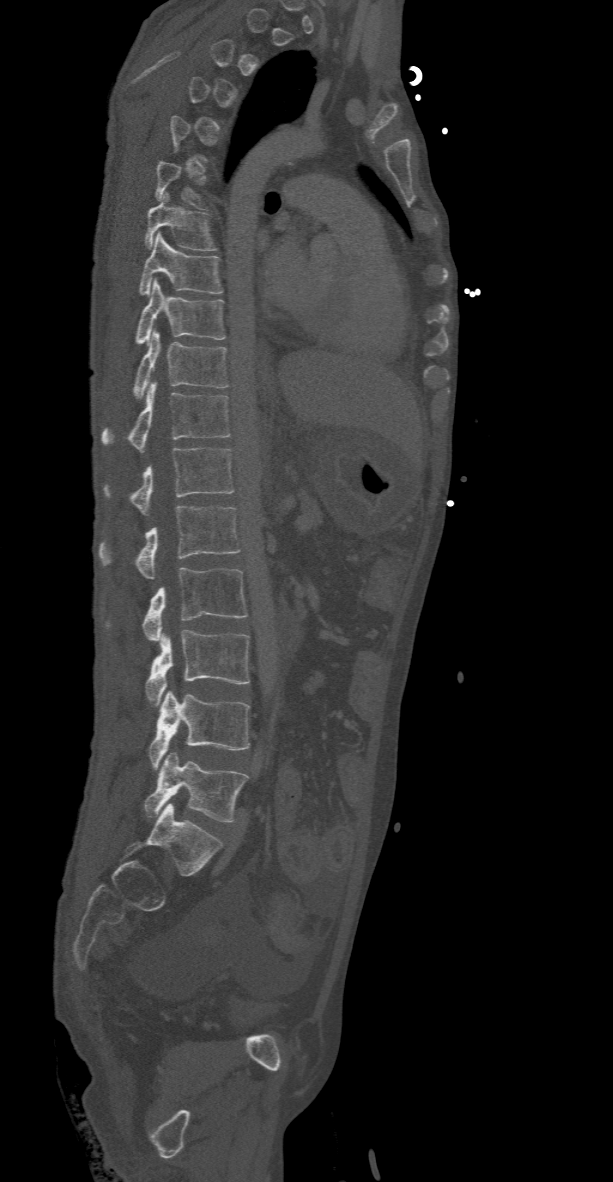
CT · sagittal view · 613x1182 px

Each row gives a vertebra's box as x1, y1, x2, y2 in pixels: top-left corner, then bottom-right corner.
Not every vertebra on this slice has a box: a vertebra is boxed only from the first to the last slice where its cross-section is at least a third of its largest, and this slice is outside that range for at least one of them.
| vertebra | x1 | y1 | x2 | y2 |
|---|---|---|---|---|
| T7 | 145 | 192 | 217 | 250 |
| T8 | 138 | 232 | 222 | 295 |
| T9 | 133 | 279 | 225 | 345 |
| T10 | 132 | 331 | 229 | 398 |
| T11 | 102 | 381 | 233 | 451 |
| T12 | 103 | 447 | 234 | 513 |
| L1 | 98 | 506 | 241 | 578 |
| L2 | 141 | 567 | 247 | 641 |
| L3 | 145 | 629 | 251 | 705 |
| L4 | 149 | 691 | 251 | 770 |
| L5 | 143 | 752 | 248 | 821 |